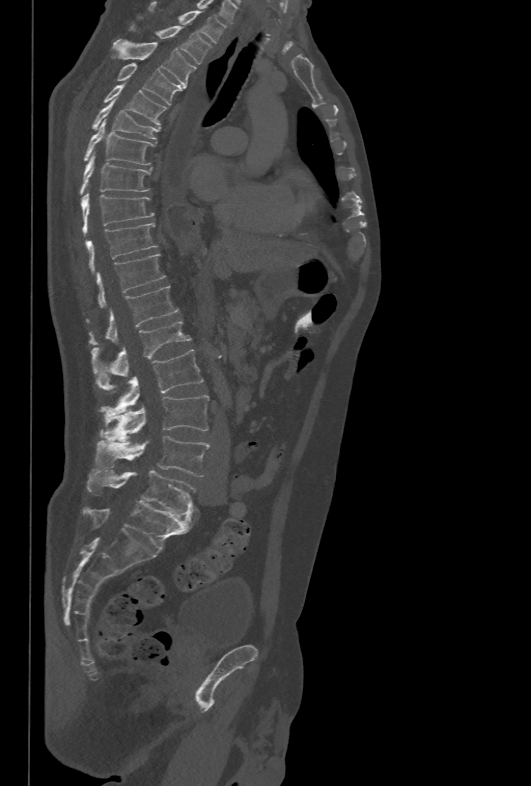
Computed tomography of the spine. sagittal view. 531x786 px. the image spans 478 mm across

Boxes are (x1, y1, x2, y2) in pixels. The labeled vertebrae in this slice are: T1 at (148, 2, 225, 43), T2 at (129, 23, 212, 64), T3 at (113, 39, 196, 86), T4 at (118, 63, 185, 104), T5 at (105, 83, 167, 125), T6 at (92, 98, 160, 138), T7 at (83, 119, 154, 164), T8 at (80, 152, 151, 195), T9 at (81, 192, 154, 234), T10 at (85, 223, 158, 273), T11 at (96, 254, 166, 306), T12 at (90, 285, 178, 344), L1 at (91, 320, 191, 388), L2 at (100, 349, 203, 414), L3 at (100, 395, 209, 439), L4 at (98, 436, 209, 476), L5 at (87, 469, 196, 515).